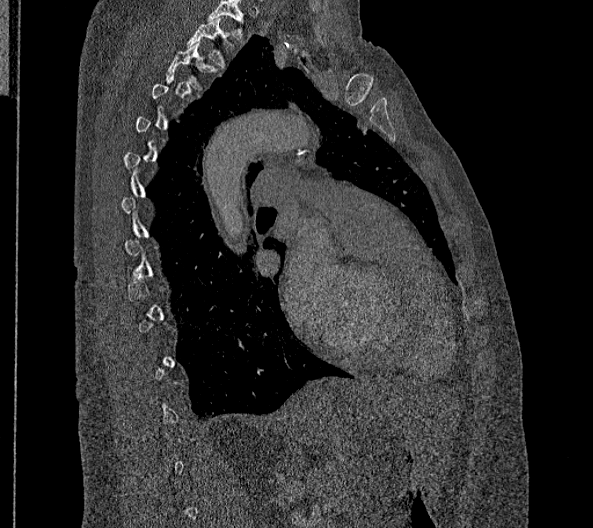

Spine computed tomography · sagittal view · Bone window (WL 400, WW 1800) · 593x528 px
Boxes below are [x1, y1, x2, y2] in pixels.
A vertebra is boxed only from the first to the last slice where its cross-section is at least a third of its largest; slices outside that range leave it without a box.
In this scan, the topmost labeled vertebra is T2 and the lowest is L2.
{"vertebrae":{"T2":[187,18,235,70],"T3":[165,41,218,88]}}